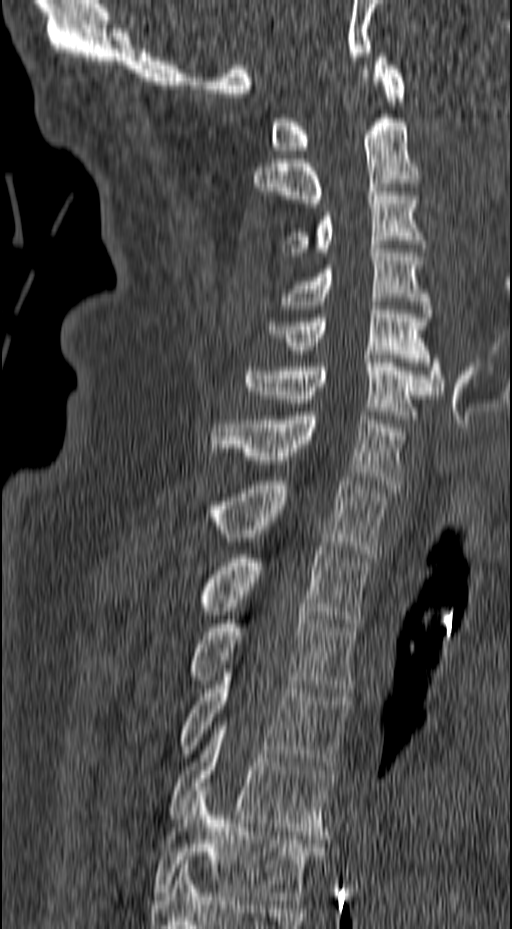
Spine CT · 157 mm wide · sagittal view · 512x929 px
Box edges are left/top/right/bottom in pixels.
Vertebra bounding boxes:
- C1: left=271, top=53, right=405, bottom=154
- C2: left=253, top=114, right=421, bottom=203
- C3: left=282, top=188, right=427, bottom=256
- C4: left=279, top=245, right=431, bottom=317
- C5: left=269, top=302, right=445, bottom=394
- C6: left=244, top=359, right=439, bottom=419
- C7: left=211, top=412, right=405, bottom=488
- T1: left=213, top=477, right=388, bottom=557
- T2: left=200, top=546, right=369, bottom=627
- T3: left=189, top=611, right=356, bottom=696
- T4: left=180, top=669, right=349, bottom=769
- T5: left=169, top=722, right=336, bottom=839
- T6: left=153, top=787, right=323, bottom=904